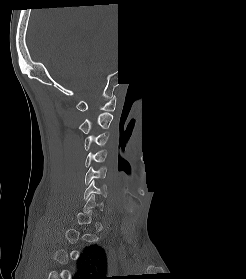 CT; sagittal view; a portion of the image is blanked out (constant pixel value). Boxes are (x1, y1, x2, y2) in pixels.
A vertebra gets a box only on the slices from the first to the last where its cross-section is at least a third of its largest; on a slice outside that range it gets none.
C1: (76, 95, 116, 111)
C2: (78, 112, 113, 133)
C3: (84, 132, 108, 150)
C4: (84, 149, 106, 167)
C5: (85, 166, 106, 184)
C6: (84, 180, 106, 199)